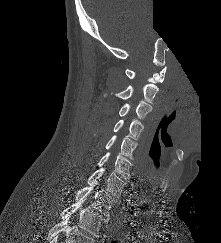 Computed tomography of the spine; sagittal view; 221x243 px; part of the image is constant black where the scan was masked
Bounding boxes as [x1, y1, x2, y2] in pixel coordinates.
Vertebra bounding boxes:
- C1: [125, 66, 166, 83]
- C2: [103, 83, 158, 104]
- C3: [119, 100, 152, 120]
- C4: [94, 119, 143, 140]
- C5: [106, 135, 137, 160]
- C6: [98, 152, 132, 178]
- C7: [87, 168, 125, 198]
- T1: [74, 181, 117, 216]
- T2: [61, 199, 109, 236]